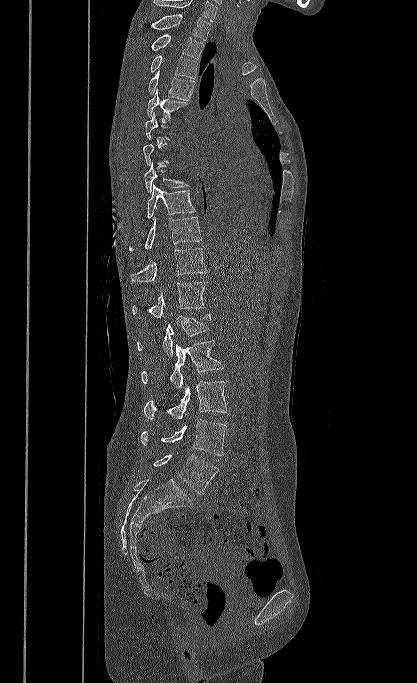 CT spine; the image is 417 mm wide; sagittal view; bone window. Coordinates as <box>x1,y1,x2,y2</box>.
A vertebra gets a box only on the slices from the first to the last where its cross-section is at least a third of its largest; on a slice outside that range it gets none.
This scan's labels start at T1 at the top and end at L5 at the bottom.
L5: <box>153,454,219,494</box>
L4: <box>141,419,227,456</box>
L3: <box>144,381,227,419</box>
L2: <box>141,340,223,388</box>
L1: <box>137,314,210,356</box>
T12: <box>132,281,206,318</box>
T11: <box>131,248,207,282</box>
T10: <box>129,216,201,252</box>
T9: <box>147,184,196,218</box>
T8: <box>144,160,189,193</box>
T5: <box>147,89,188,120</box>
T4: <box>148,71,194,100</box>
T3: <box>150,55,197,79</box>
T2: <box>151,34,205,60</box>
T1: <box>150,14,210,40</box>